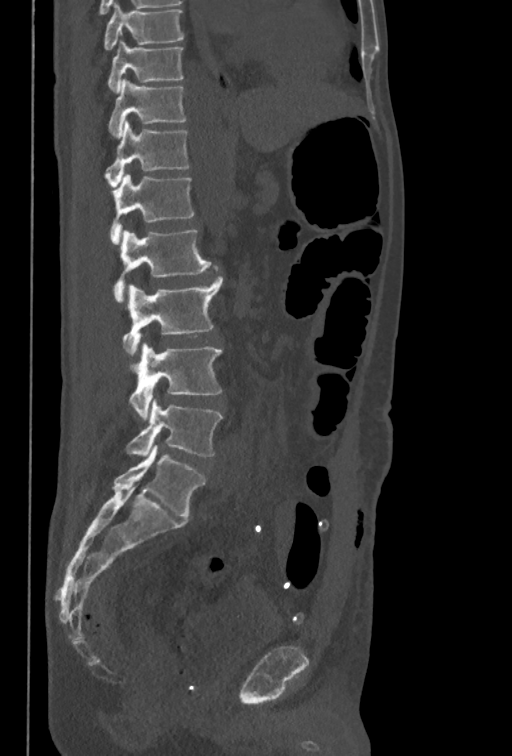 CT. sagittal reformat. bone window. Box edges are left/top/right/bottom in pixels. In this scan, the topmost labeled vertebra is T10 and the lowest is L5. 8 vertebrae labeled — T10 at left=107, top=41, right=183, bottom=92; T11 at left=108, top=79, right=186, bottom=137; T12 at left=104, top=121, right=189, bottom=186; L1 at left=108, top=174, right=195, bottom=244; L2 at left=113, top=229, right=211, bottom=302; L3 at left=123, top=265, right=222, bottom=356; L4 at left=128, top=342, right=223, bottom=420; L5 at left=126, top=399, right=223, bottom=456.